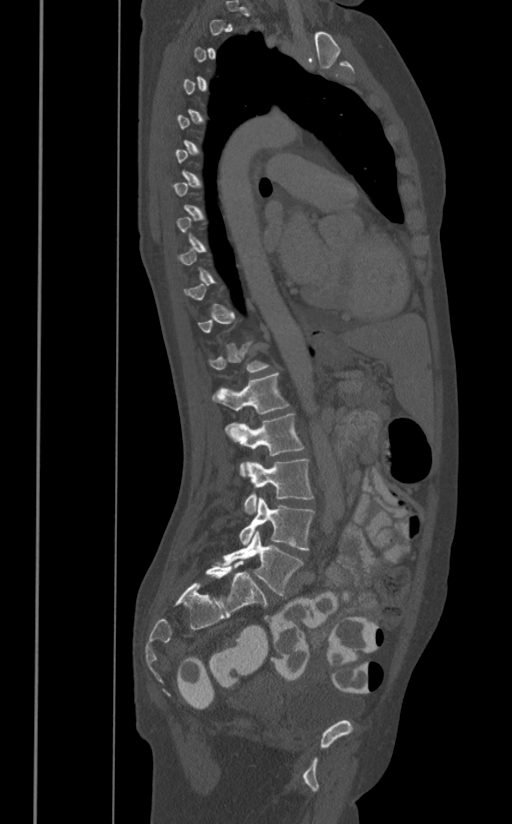 CT spine. sagittal view. Bone window (WL 400, WW 1800). the image spans 391 mm across
A vertebra gets a box only on the slices from the first to the last where its cross-section is at least a third of its largest; on a slice outside that range it gets none.
<vertebrae><v name="L5" x1="223" y1="530" x2="303" y2="595"/><v name="L4" x1="239" y1="497" x2="314" y2="551"/><v name="L3" x1="244" y1="458" x2="313" y2="514"/><v name="L2" x1="225" y1="412" x2="304" y2="476"/><v name="L1" x1="212" y1="372" x2="288" y2="414"/></vertebrae>